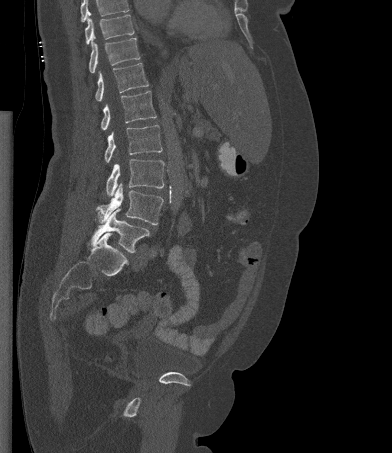

CT spine — sagittal view — W/L 1800/400 HU — 392x453 px
Boxes are given in columns x1, y1, x2, y2, the pixel coordinates of their top-left and bottom-right corners.
A vertebra cut off by the top edge of the scan is not labeled and has no box.
| vertebra | x1 | y1 | x2 | y2 |
|---|---|---|---|---|
| L5 | 91 | 209 | 149 | 252 |
| L4 | 97 | 183 | 163 | 225 |
| L3 | 106 | 159 | 164 | 196 |
| L2 | 104 | 125 | 162 | 162 |
| L1 | 101 | 91 | 156 | 130 |
| T12 | 95 | 63 | 148 | 101 |
| T11 | 89 | 37 | 140 | 73 |
| T10 | 85 | 14 | 134 | 44 |